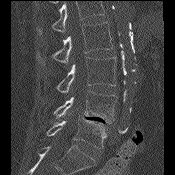 Spine computed tomography · sagittal view · bone-window reconstruction · 175x175 px

Bounding boxes as [x1, y1, x2, y2] in pixel coordinates. A vertebra cut off by the top edge of the scan is not labeled and has no box. 4 vertebrae labeled — L5 at [47, 117, 107, 148]; L4 at [53, 91, 117, 123]; L3 at [57, 57, 116, 93]; L2 at [36, 22, 112, 65].